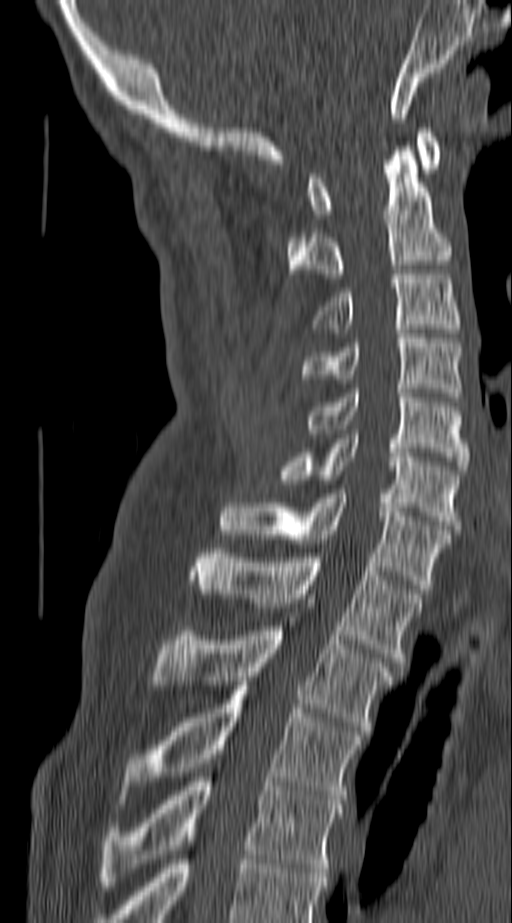

Spine CT; sagittal view; the image is 140 mm wide; bone window; 512x923 px
Coordinates as <box>x1,y1,x2,y2</box>.
Vertebra bounding boxes:
- C1: <box>309,128,439,218</box>
- C2: <box>287,146,450,278</box>
- C3: <box>312,274,461,328</box>
- C4: <box>301,334,461,397</box>
- C5: <box>305,389,468,470</box>
- C6: <box>276,434,461,529</box>
- C7: <box>221,494,450,589</box>
- T1: <box>192,549,421,666</box>
- T2: <box>151,626,392,730</box>
- T3: <box>126,686,362,804</box>
- T4: <box>100,777,344,886</box>